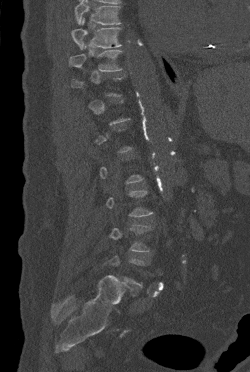 CT. sagittal view. 250 mm image width
Box values are [left, top, right, bottom] in pixels.
A vertebra gets a box only on the slices from the first to the last where its cross-section is at least a third of its largest; on a slice outside that range it gets none.
No box is given to a vertebra that the top edge of the scan cuts off.
{"vertebrae":{"T9":[71,18,121,49],"T10":[69,44,121,71]}}